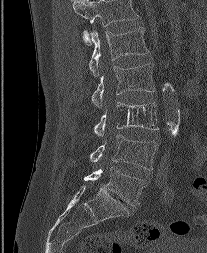

Computed tomography of the spine. sagittal view. 207x253 px
Each vertebra maps to its box as [x1, y1, x2, y2], the pixel coordinates of its top-left and bottom-right corners.
In this scan, the topmost labeled vertebra is L1 and the lowest is L5.
{"vertebrae":{"L1":[89,27,148,76],"L2":[91,63,154,107],"L3":[94,102,158,136],"L4":[90,135,158,169],"L5":[84,167,144,205]}}